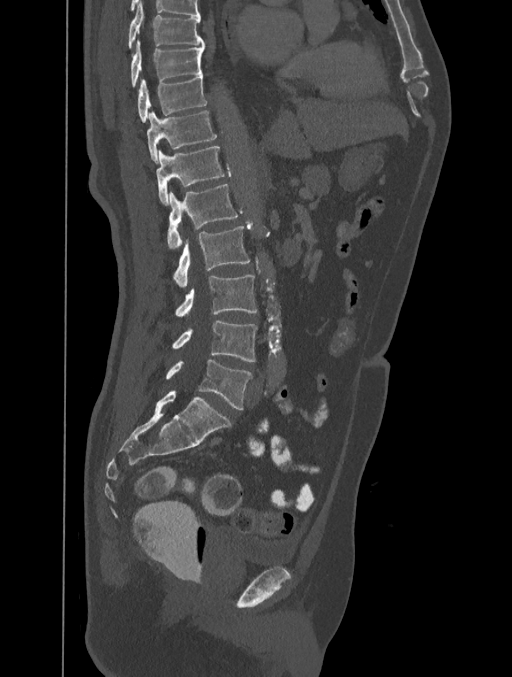 CT; sagittal view; W/L 1800/400 HU; the image spans 401 mm across
<vertebrae><v name="L5" x1="166" y1="359" x2="250" y2="409"/><v name="L4" x1="172" y1="321" x2="257" y2="362"/><v name="L3" x1="176" y1="275" x2="257" y2="317"/><v name="L2" x1="174" y1="226" x2="250" y2="287"/><v name="L1" x1="167" y1="184" x2="238" y2="250"/><v name="T12" x1="156" y1="146" x2="225" y2="205"/><v name="T11" x1="147" y1="110" x2="216" y2="162"/><v name="T10" x1="138" y1="75" x2="207" y2="122"/><v name="T9" x1="130" y1="40" x2="204" y2="86"/><v name="T8" x1="129" y1="1" x2="203" y2="47"/></vertebrae>